Computed tomography of the spine; sagittal view; bone-window reconstruction; 523x792 px
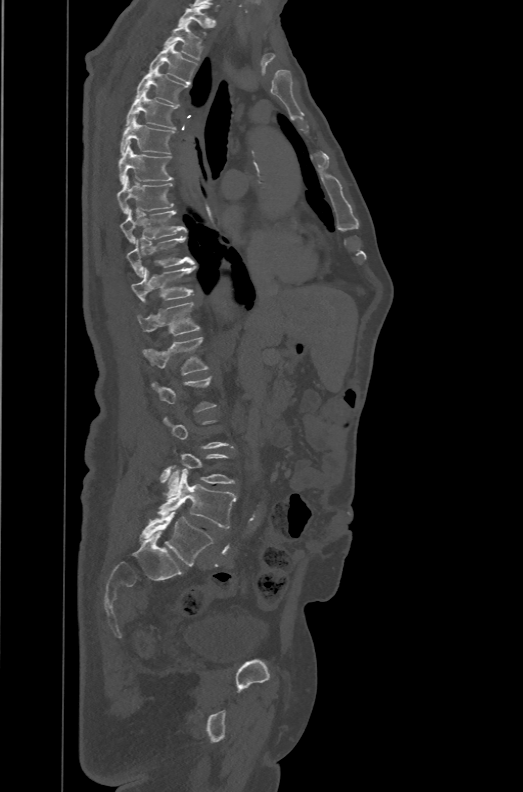
Boxes below are [x1, y1, x2, y2] in pixels.
A vertebra is boxed only from the first to the last slice where its cross-section is at least a third of its largest; slices outside that range leave it without a box.
The labels name a sixth lumbar vertebra for this spine: L6, after L5.
{"vertebrae":{"T1":[178,4,211,35],"T2":[165,23,202,59],"T3":[148,42,196,83],"T4":[136,68,188,104],"T5":[125,90,177,129],"T6":[120,116,174,155],"T7":[118,144,173,184],"T8":[117,176,174,213],"T9":[120,209,187,243],"T10":[126,236,194,277],"T11":[131,265,195,301],"T12":[136,302,199,335],"L1":[142,338,208,374],"L4":[165,450,234,497],"L5":[156,465,235,528],"L6":[139,511,214,565]}}